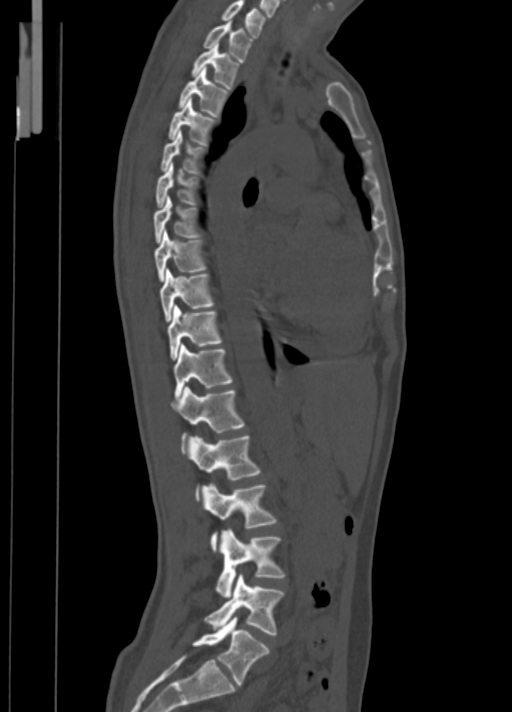 Spine computed tomography · sagittal view
Box edges are left/top/right/bottom in pixels.
Vertebra bounding boxes:
- C7: left=222, top=0, right=265, bottom=37
- T1: left=203, top=19, right=252, bottom=62
- T2: left=191, top=44, right=239, bottom=88
- T3: left=178, top=67, right=227, bottom=116
- T4: left=168, top=98, right=214, bottom=144
- T5: left=161, top=130, right=202, bottom=173
- T6: left=156, top=162, right=196, bottom=207
- T7: left=153, top=196, right=199, bottom=243
- T8: left=153, top=230, right=205, bottom=281
- T9: left=159, top=269, right=214, bottom=322
- T10: left=167, top=306, right=221, bottom=359
- T11: left=172, top=344, right=231, bottom=398
- T12: left=171, top=386, right=243, bottom=454
- L1: left=189, top=436, right=261, bottom=498
- L2: left=200, top=484, right=275, bottom=550
- L3: left=216, top=528, right=284, bottom=597
- L4: left=205, top=573, right=283, bottom=635
- L5: left=193, top=616, right=269, bottom=685